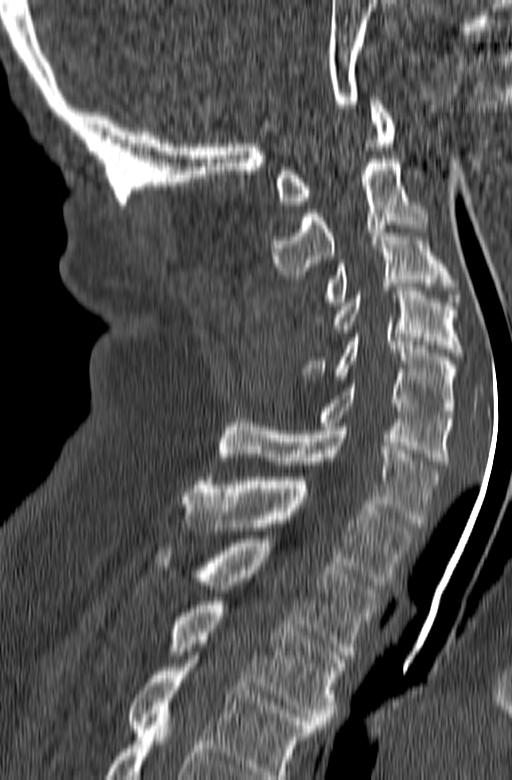

Spine CT. sagittal view. bone-window reconstruction. 512x780 px. Box edges are left/top/right/bottom in pixels.
This scan's labels start at C1 at the top and end at T3 at the bottom.
C1: left=275, top=97, right=394, bottom=205
C2: left=270, top=159, right=428, bottom=278
C3: left=309, top=229, right=459, bottom=305
C4: left=333, top=287, right=462, bottom=356
C5: left=300, top=334, right=459, bottom=418
C6: left=319, top=380, right=451, bottom=464
C7: left=218, top=419, right=441, bottom=527
T1: left=181, top=477, right=415, bottom=585
T2: left=153, top=539, right=379, bottom=658
T3: left=166, top=601, right=344, bottom=728